CT · Sagittal slice 30/61 · bone-window reconstruction · 143x379 px · 14 vertebrae labeled in this scan
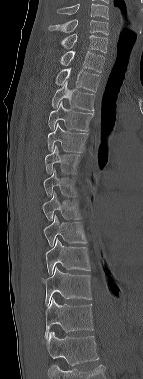 Boxes: x1:y1:x2:y2 in pixels.
In this scan, the topmost labeled vertebra is C6 and the lowest is T12.
Vertebra bounding boxes:
- T12: 44:297:93:340
- T11: 41:267:91:306
- T10: 46:238:90:275
- T9: 43:215:86:247
- T8: 42:190:82:220
- T7: 43:168:77:196
- T6: 45:145:80:174
- T5: 47:123:88:152
- T4: 48:101:94:131
- T3: 51:81:94:110
- T2: 55:68:99:91
- T1: 60:51:104:72
- C7: 60:34:107:52
- C6: 48:19:108:34